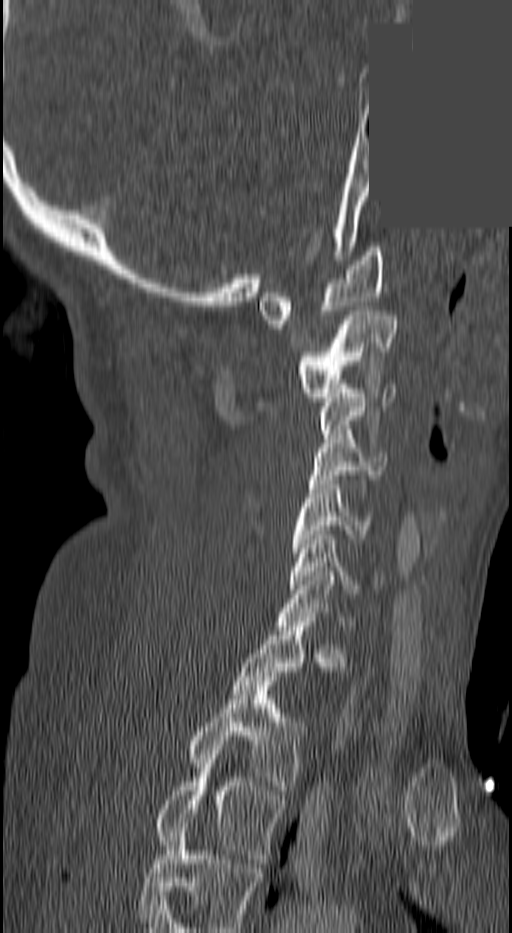

CT, spine — the image spans 140 mm across — sagittal view — part of the image is a flat gray fill, not anatomy

Boxes are (x1, y1, x2, y2) in pixels. Each vertebra is boxed only on the slices from the first to the last where its cross-section reaches a third of its largest, so a slice outside that range leaves it unboxed. Labels in this scan begin with C1 at the top and end with T3 at the bottom. The labeled vertebrae in this slice are: C1 at (259, 247, 384, 324), C2 at (296, 311, 395, 401), C3 at (321, 389, 395, 438), C4 at (309, 434, 386, 484), C5 at (291, 485, 370, 552), C6 at (290, 535, 380, 593), C7 at (276, 576, 351, 630), T2 at (188, 677, 308, 794), T3 at (155, 768, 286, 863).